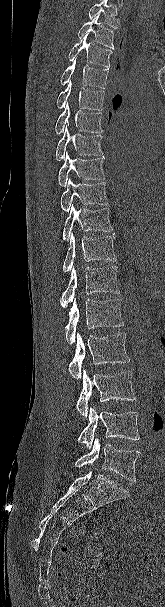 CT, spine — 165 mm across the image — sagittal view
Each box is [x1, y1, x2, y2] in pixels: top-left corner, then bottom-right corner.
Vertebrae that run past the top of the scan are left unlabeled.
{"vertebrae":{"T2":[77,15,114,48],"T3":[68,33,112,68],"T4":[60,58,108,88],"T5":[56,81,104,110],"T6":[55,102,103,134],"T7":[55,125,102,160],"T8":[58,151,105,187],"T9":[60,178,108,212],"T10":[62,204,112,241],"T11":[62,233,116,271],"T12":[60,266,119,307],"L1":[65,298,124,344],"L2":[68,332,130,379],"L3":[76,369,136,417],"L4":[77,407,139,449],"L5":[75,436,140,481]}}